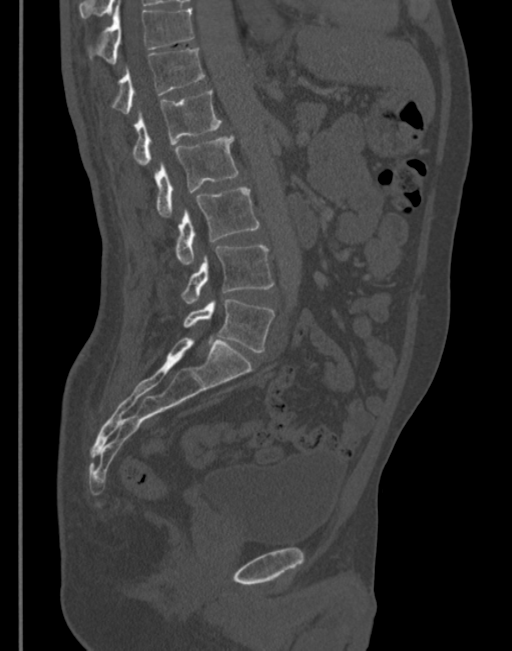
CT spine · sagittal view · bone window · 512x651 px
Each box is [x1, y1, x2, y2] in pixels: top-left corner, then bottom-right corner.
{"vertebrae":{"T11":[89,5,193,63],"T12":[111,49,204,114],"L1":[132,90,221,164],"L2":[156,135,238,216],"L3":[175,186,258,264],"L4":[182,245,273,303],"L5":[184,299,275,352]}}